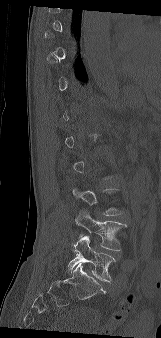

CT spine; sagittal view; bone window; 161 mm across the image

A vertebra gets a box only on the slices from the first to the last where its cross-section is at least a third of its largest; on a slice outside that range it gets none.
<vertebrae><v name="L5" x1="67" y1="236" x2="115" y2="282"/><v name="L4" x1="75" y1="210" x2="126" y2="251"/></vertebrae>